Spine computed tomography. image 373 mm wide. sagittal reformat. 512x634 px
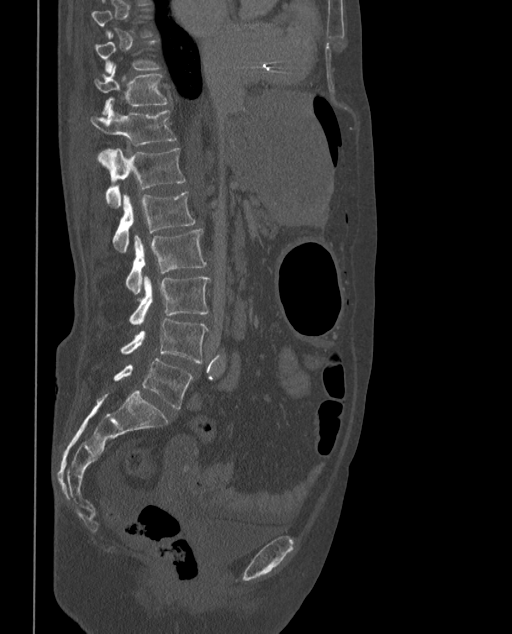

Each box given as x1,y1,x2,y2.
Not every vertebra on this slice has a box: a vertebra is boxed only from the first to the last slice where its cross-section is at least a third of its largest, and this slice is outside that range for at least one of them.
In these labels the spine has an L6, a sixth lumbar vertebra below L5.
T10: x1=95, y1=40, x2=161, y2=72
T11: x1=95, y1=65, x2=169, y2=115
T12: x1=90, y1=105, x2=176, y2=161
L1: x1=106, y1=148, x2=185, y2=208
L2: x1=112, y1=191, x2=195, y2=252
L3: x1=125, y1=229, x2=206, y2=294
L4: x1=129, y1=277, x2=210, y2=324
L5: x1=121, y1=319, x2=207, y2=362
L6: x1=114, y1=358, x2=192, y2=409